CT — sagittal view
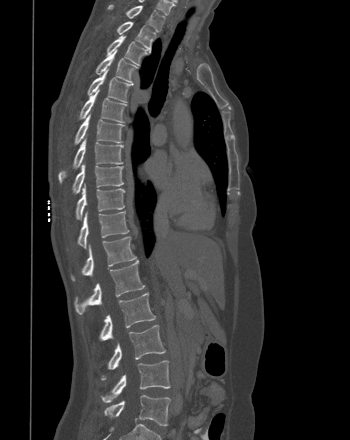

<vertebrae><v name="L5" x1="104" y1="395" x2="170" y2="426"/><v name="L4" x1="101" y1="360" x2="170" y2="402"/><v name="L3" x1="101" y1="325" x2="165" y2="380"/><v name="L2" x1="99" y1="293" x2="155" y2="340"/><v name="L1" x1="74" y1="260" x2="144" y2="314"/><v name="T12" x1="71" y1="236" x2="136" y2="280"/><v name="T11" x1="77" y1="211" x2="129" y2="248"/><v name="T10" x1="75" y1="184" x2="124" y2="219"/><v name="T9" x1="72" y1="163" x2="123" y2="194"/><v name="T8" x1="58" y1="138" x2="123" y2="183"/><v name="T7" x1="74" y1="114" x2="124" y2="144"/><v name="T6" x1="79" y1="90" x2="126" y2="122"/><v name="T5" x1="87" y1="69" x2="132" y2="102"/><v name="T4" x1="95" y1="50" x2="137" y2="82"/><v name="T3" x1="106" y1="35" x2="146" y2="64"/><v name="T2" x1="116" y1="21" x2="155" y2="52"/><v name="T1" x1="108" y1="4" x2="165" y2="31"/></vertebrae>